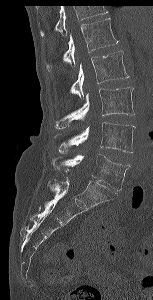

Spine CT; sagittal view; 153 mm image width; bone-window reconstruction
Bounding boxes as [x1, y1, x2, y2] in pixel coordinates. No box is given to a vertebra that the top edge of the scan cuts off. 5 vertebrae labeled — L1 at [45, 18, 118, 71]; L2 at [69, 50, 129, 97]; L3 at [55, 87, 134, 128]; L4 at [54, 122, 135, 152]; L5 at [51, 154, 130, 190].